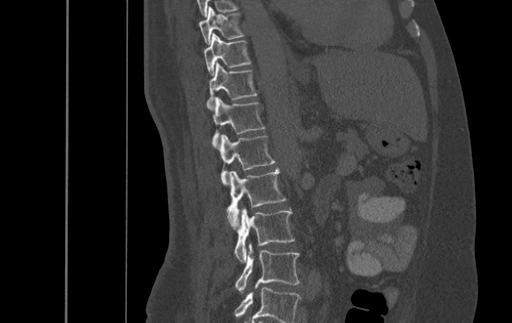 CT. sagittal reformat. bone window. 512x323 px
The highest labeled vertebra in this scan is T9; the lowest is L4.
<vertebrae><v name="T9" x1="199" y1="6" x2="244" y2="44"/><v name="T10" x1="203" y1="33" x2="251" y2="75"/><v name="T11" x1="207" y1="62" x2="256" y2="110"/><v name="T12" x1="212" y1="96" x2="264" y2="149"/><v name="L1" x1="218" y1="134" x2="274" y2="184"/><v name="L2" x1="227" y1="168" x2="286" y2="226"/><v name="L3" x1="235" y1="208" x2="294" y2="261"/><v name="L4" x1="236" y1="244" x2="299" y2="291"/></vertebrae>